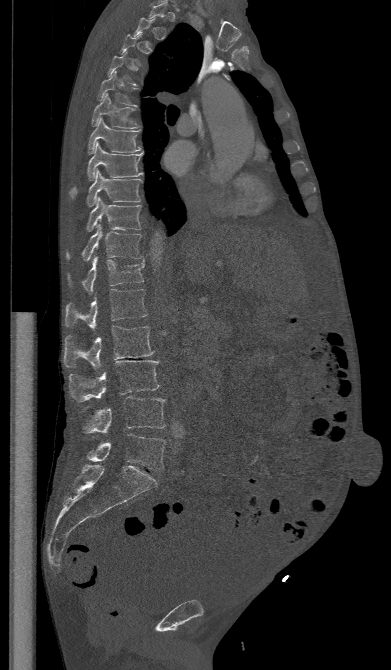
CT spine; sagittal reformat; Bone window (WL 400, WW 1800)
Boxes: x1:y1:x2:y2 in pixels.
Not every vertebra on this slice has a box: a vertebra is boxed only from the first to the last slice where its cross-section is at least a third of its largest, and this slice is outside that range for at least one of them.
Vertebra bounding boxes:
- T5: 96:70:140:106
- T6: 91:94:139:128
- T7: 88:118:141:153
- T8: 69:142:144:197
- T9: 87:169:141:206
- T10: 86:197:142:231
- T11: 66:224:142:261
- T12: 67:255:144:294
- L1: 65:289:147:330
- L2: 63:326:154:370
- L3: 69:360:159:401
- L4: 82:396:165:433
- L5: 86:434:166:469